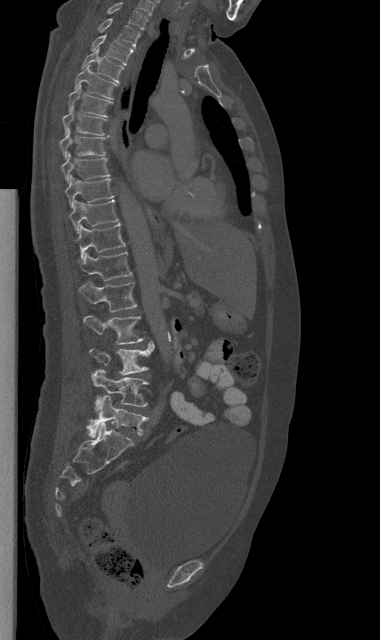

Spine CT. the image is 380 mm wide. sagittal reformat. bone window. 380x640 px
Each row gives a vertebra's box as x1, y1, x2, y2 in pixels: top-left corner, then bottom-right corner.
| vertebra | x1 | y1 | x2 | y2 |
|---|---|---|---|---|
| C7 | 107 | 2 | 147 | 29 |
| T1 | 98 | 17 | 140 | 47 |
| T2 | 91 | 34 | 133 | 65 |
| T3 | 80 | 48 | 123 | 82 |
| T4 | 74 | 65 | 117 | 99 |
| T5 | 68 | 85 | 112 | 117 |
| T6 | 62 | 108 | 106 | 136 |
| T7 | 60 | 127 | 105 | 159 |
| T8 | 61 | 153 | 109 | 182 |
| T9 | 65 | 175 | 113 | 208 |
| T10 | 69 | 199 | 118 | 233 |
| T11 | 77 | 222 | 125 | 258 |
| T12 | 78 | 251 | 132 | 281 |
| L1 | 79 | 282 | 136 | 312 |
| L2 | 83 | 315 | 143 | 344 |
| L3 | 90 | 342 | 154 | 375 |
| L4 | 91 | 369 | 147 | 412 |
| L5 | 87 | 395 | 147 | 437 |